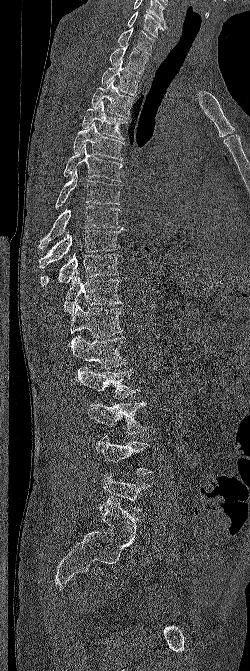

CT · sagittal view · bone-window reconstruction
Boxes are (x1, y1, x2, y2) in pixels.
The highest labeled vertebra in this scan is C6; the lowest is L5.
Vertebra bounding boxes:
- C6: (127, 11, 168, 37)
- C7: (118, 27, 154, 54)
- T1: (109, 43, 148, 74)
- T2: (101, 61, 140, 95)
- T3: (91, 79, 134, 118)
- T4: (82, 100, 127, 139)
- T5: (73, 122, 124, 160)
- T6: (63, 143, 122, 181)
- T7: (55, 168, 120, 208)
- T8: (39, 205, 122, 248)
- T9: (39, 230, 120, 268)
- T10: (40, 253, 119, 286)
- T11: (63, 277, 122, 314)
- T12: (70, 303, 123, 337)
- L1: (67, 335, 126, 368)
- L2: (76, 366, 139, 398)
- L3: (86, 402, 147, 434)
- L4: (96, 435, 152, 475)
- L5: (100, 472, 151, 511)